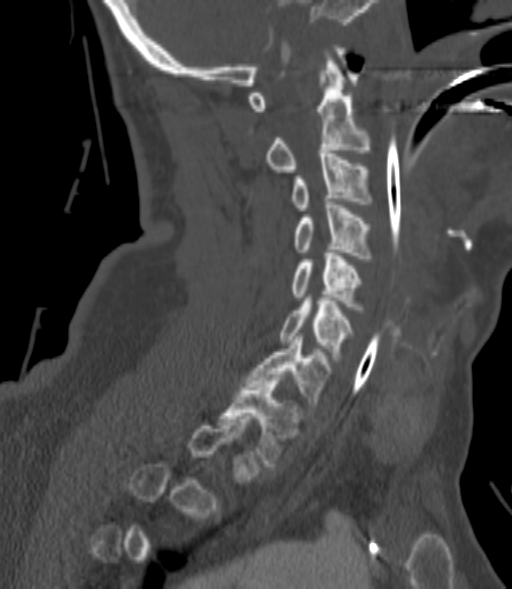
CT spine; sagittal view; bone-window reconstruction
Coordinates as <box>x1,y1,x2,y2</box>.
A vertebra is boxed only from the first to the last slice where its cross-section is at least a third of its largest; slices outside that range leave it without a box.
C2: <box>264,48,371,172</box>
C3: <box>290,150,374,210</box>
C4: <box>293,202,374,261</box>
C5: <box>290,250,363,313</box>
C6: <box>280,298,353,361</box>
C7: <box>247,333,330,412</box>
T1: <box>218,378,299,466</box>